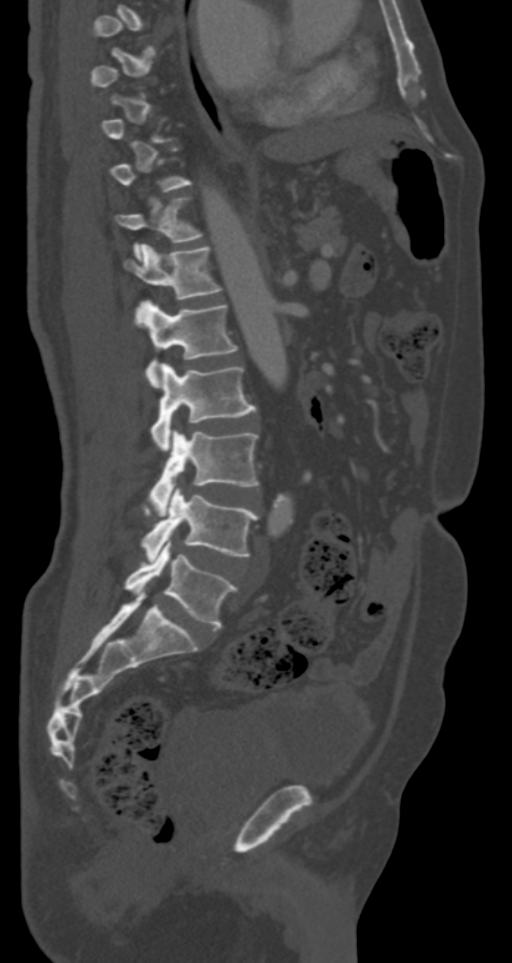
CT spine · sagittal view · W/L 1800/400 HU · the image spans 287 mm across
Each box is [x1, y1, x2, y2] in pixels: top-left corner, then bottom-right corner.
A vertebra gets a box only on the slices from the first to the last where its cross-section is at least a third of its largest; on a slice outside that range it gets none.
{"vertebrae":{"L5":[124,538,238,628],"L4":[141,487,259,561],"L3":[149,430,259,511],"L2":[151,363,255,450],"L1":[135,300,238,386],"T12":[124,244,222,299],"T11":[116,197,202,260]}}